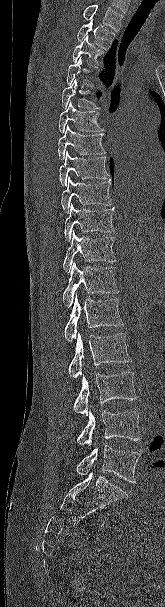 Spine CT · sagittal view · 165x607 px
Each box given as x1,y1,x2,y2.
No box is given to a vertebra that the top edge of the scan cuts off.
Vertebra bounding boxes:
- T2: x1=77, y1=19, x2=115, y2=49
- T3: x1=72, y1=36, x2=104, y2=67
- T4: x1=66, y1=57, x2=94, y2=86
- T5: x1=61, y1=78, x2=99, y2=109
- T6: x1=58, y1=101, x2=104, y2=133
- T7: x1=58, y1=125, x2=105, y2=159
- T8: x1=59, y1=150, x2=109, y2=186
- T9: x1=61, y1=176, x2=111, y2=213
- T10: x1=64, y1=203, x2=114, y2=241
- T11: x1=63, y1=230, x2=115, y2=272
- T12: x1=62, y1=261, x2=118, y2=307
- L1: x1=64, y1=294, x2=123, y2=342
- L2: x1=68, y1=332, x2=131, y2=378
- L3: x1=73, y1=371, x2=137, y2=416
- L4: x1=77, y1=409, x2=140, y2=446
- L5: x1=76, y1=445, x2=140, y2=483